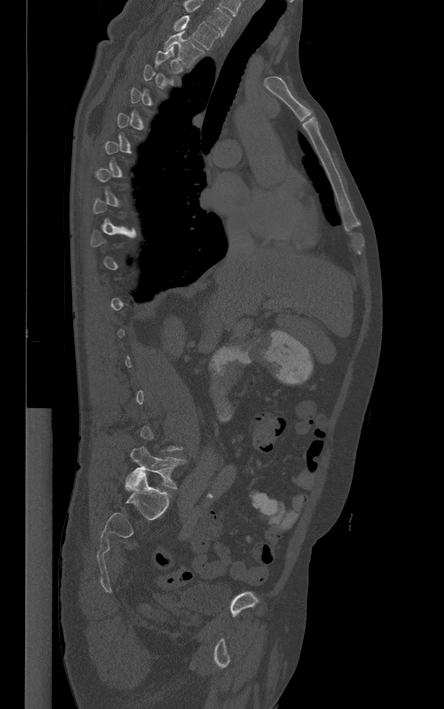
CT, spine; sagittal view; bone window
A vertebra is boxed only from the first to the last slice where its cross-section is at least a third of its largest; slices outside that range leave it without a box.
Labels in this scan begin with T1 at the top and end with L5 at the bottom.
<vertebrae><v name="L5" x1="130" y1="447" x2="186" y2="488"/><v name="T2" x1="162" y1="30" x2="203" y2="66"/><v name="T1" x1="174" y1="16" x2="219" y2="49"/></vertebrae>